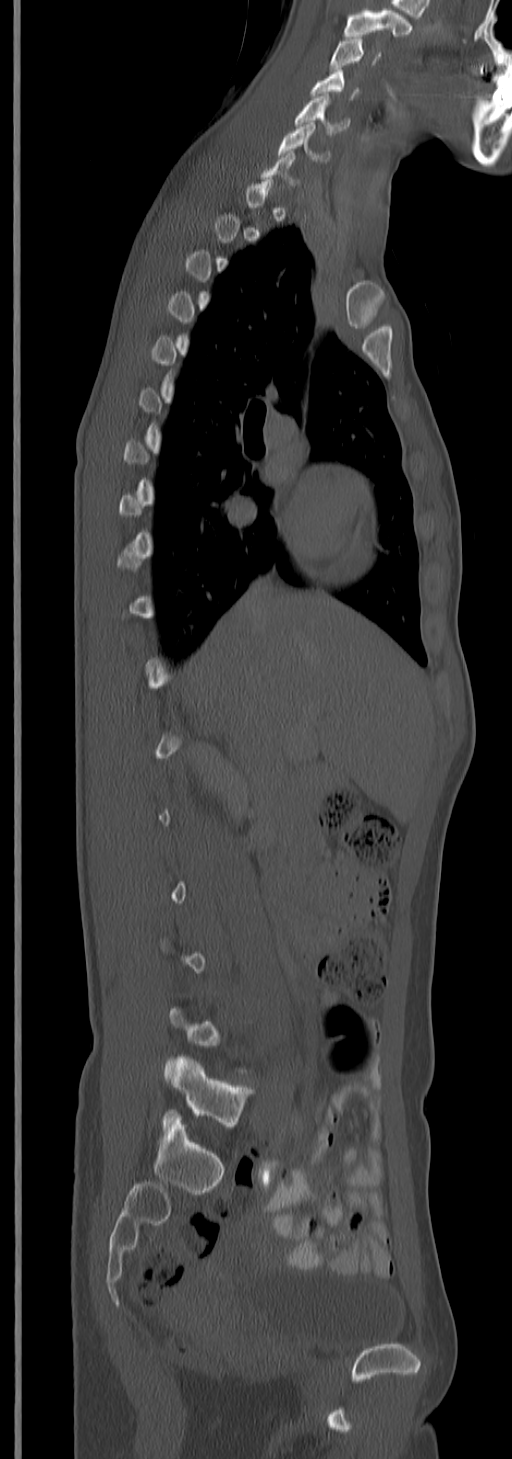

CT, spine · sagittal view · Bone window (WL 400, WW 1800)
Bounding boxes as [x1, y1, x2, y2] in pixel coordinates.
Each vertebra is boxed only on the slices from the first to the last where its cross-section reaches a third of its largest, so a slice outside that range leaves it unboxed.
Labels in this scan begin with C3 at the top and end with L5 at the bottom.
L5: [162, 1056, 252, 1129]
C6: [278, 124, 330, 160]
C5: [295, 95, 346, 133]
C4: [310, 70, 359, 98]
C3: [329, 38, 382, 69]